CT · sagittal plane, index 95 · 204x192 px
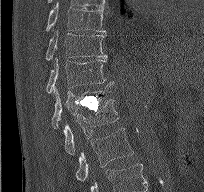
Columns x1, y1, x2, y2 give each box's top-left and bottom-right pixels.
Labels in this scan begin with T9 at the top and end with L2 at the bottom.
| vertebra | x1 | y1 | x2 | y2 |
|---|---|---|---|---|
| T9 | 46 | 3 | 105 | 31 |
| T10 | 45 | 30 | 107 | 60 |
| T11 | 46 | 58 | 114 | 93 |
| T12 | 51 | 85 | 115 | 128 |
| L1 | 63 | 99 | 118 | 155 |
| L2 | 75 | 128 | 133 | 181 |